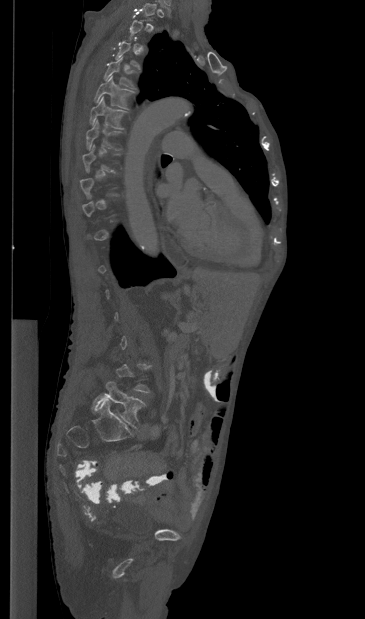
CT, spine · sagittal view · Bone window (WL 400, WW 1800) · 365x619 px · 365 mm wide

Bounding boxes as [x1, y1, x2, y2] in pixel coordinates. Not every vertebra on this slice has a box: a vertebra is boxed only from the first to the last slice where its cross-section is at least a third of its largest, and this slice is outside that range for at least one of them. The labeled vertebrae in this slice are: T4 at [104, 55, 136, 88], T5 at [94, 75, 134, 109], T6 at [89, 96, 126, 128], T7 at [86, 119, 120, 150], L5 at [92, 381, 145, 428].